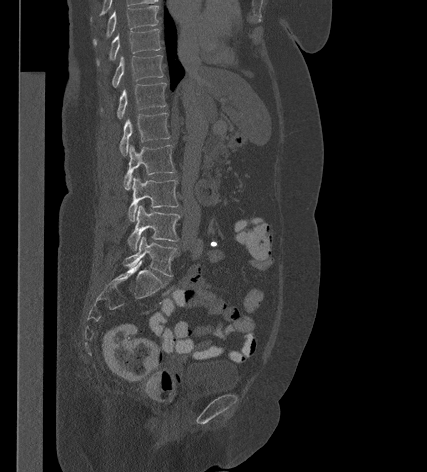

Computed tomography of the spine — sagittal view — Bone window (WL 400, WW 1800)
Boxes: x1:y1:x2:y2 in pixels.
Vertebra bounding boxes:
- L5: 123:236:176:276
- L4: 128:205:180:250
- L3: 128:176:178:221
- L2: 124:144:175:189
- L1: 119:113:170:156
- T12: 117:83:166:119
- T11: 112:55:163:87
- T10: 97:29:160:64
- T9: 93:5:158:44